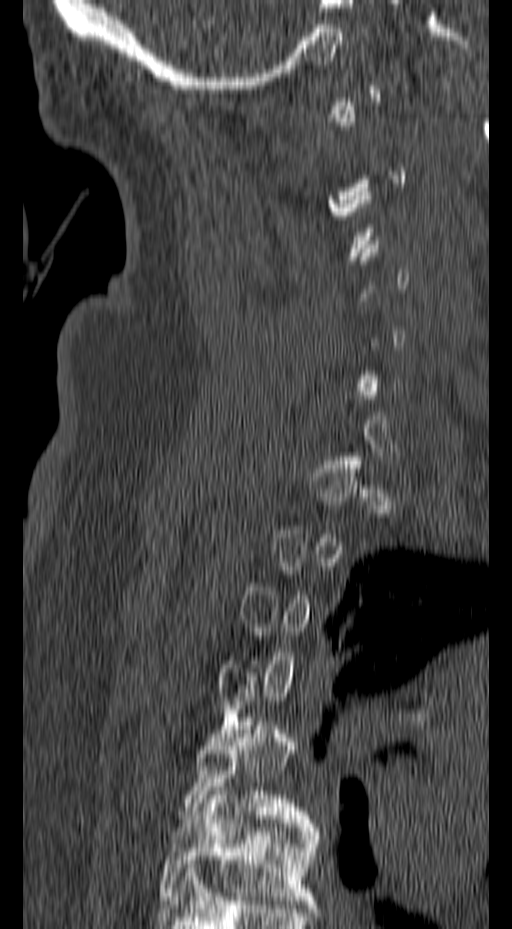 CT; sagittal view; 512x929 px
Boxes: x1 y1 x2 y2 (pixel coords, space-separated).
Not every vertebra on this slice has a box: a vertebra is boxed only from the first to the last slice where its cross-section is at least a third of its largest, and this slice is outside that range for at least one of them.
Vertebra bounding boxes:
- T5: 184 717 315 827
- T6: 159 787 320 904